CT, spine · sagittal reformat · W/L 1800/400 HU
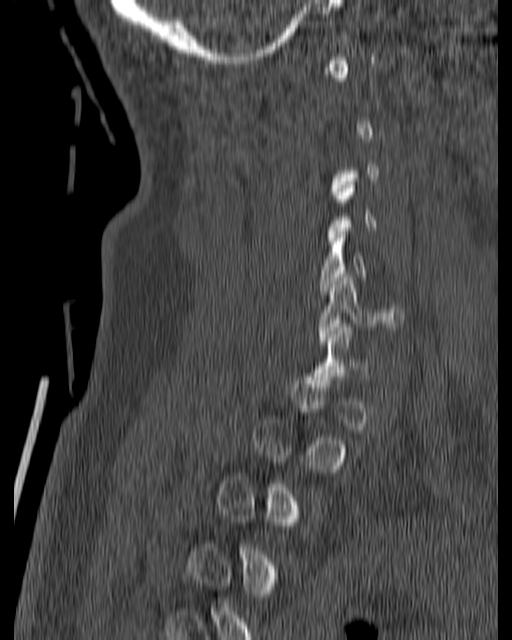

Boxes below are [x1, y1, x2, y2] in pixels.
Not every vertebra on this slice has a box: a vertebra is boxed only from the first to the last slice where its cross-section is at least a third of its largest, and this slice is outside that range for at least one of them.
{"vertebrae":{"C5":[318,235,367,294],"C6":[317,274,403,344]}}